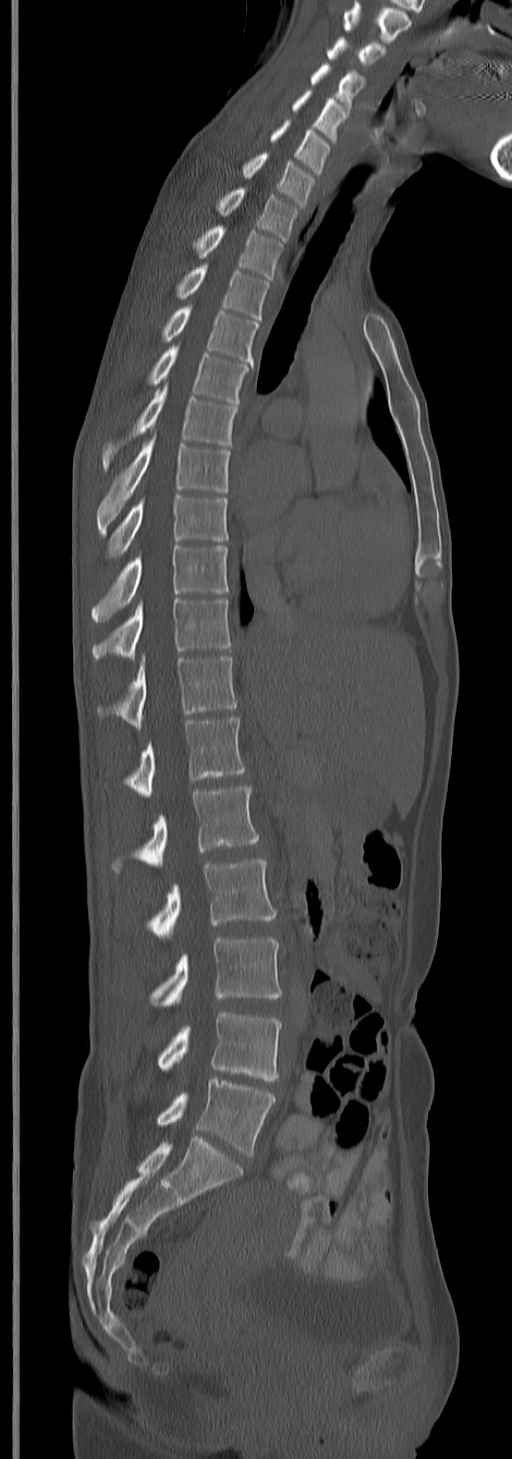 CT. image width 245 mm. sagittal view

Boxes are (x1, y1, x2, y2) in pixels.
The highest labeled vertebra in this scan is C3; the lowest is L5.
C3: (327, 36, 384, 66)
C4: (310, 63, 365, 110)
C5: (291, 90, 346, 144)
C6: (270, 120, 330, 175)
C7: (243, 153, 315, 206)
T1: (218, 187, 298, 240)
T2: (193, 224, 284, 280)
T3: (176, 264, 269, 319)
T4: (161, 306, 259, 363)
T5: (147, 345, 248, 405)
T6: (101, 385, 238, 470)
T7: (97, 435, 229, 535)
T8: (107, 494, 227, 560)
T9: (90, 546, 227, 622)
T10: (92, 598, 232, 660)
T11: (97, 655, 236, 729)
T12: (126, 718, 244, 798)
L1: (111, 784, 259, 873)
L2: (147, 858, 275, 938)
L3: (149, 937, 282, 1007)
L4: (157, 1012, 282, 1080)
L5: (157, 1077, 275, 1155)